Computed tomography of the spine — sagittal view — Bone window (WL 400, WW 1800) — 512x591 px
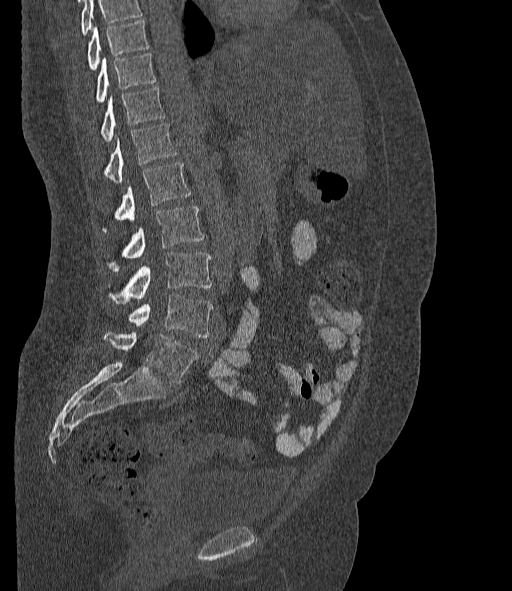

Boxes are (x1, y1, x2, y2) in pixels.
Vertebrae that run past the top of the scan are left unlabeled.
These labels give the spine a sixth lumbar vertebra, L6, below L5.
Vertebra bounding boxes:
- T10: (88, 20, 148, 70)
- T11: (96, 53, 155, 102)
- T12: (102, 87, 165, 140)
- L1: (104, 124, 177, 182)
- L2: (103, 162, 190, 231)
- L3: (108, 206, 204, 271)
- L4: (110, 253, 211, 303)
- L5: (129, 293, 212, 337)
- L6: (103, 331, 198, 383)